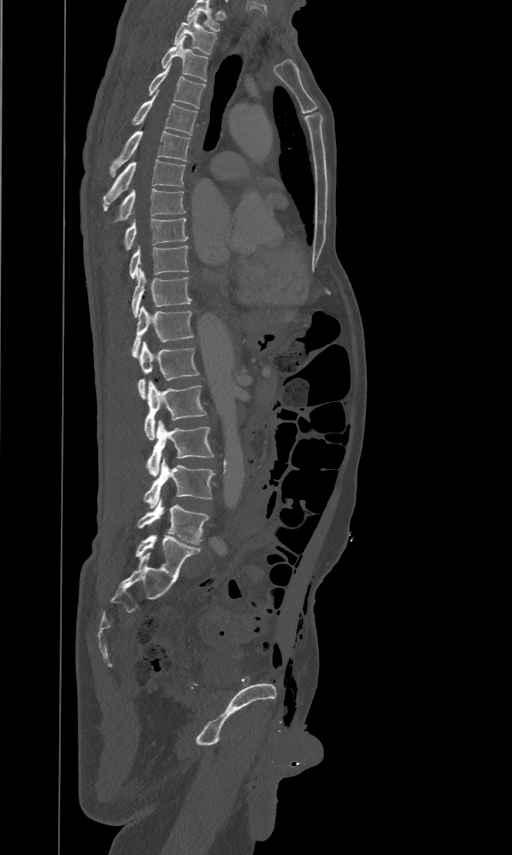
CT spine · sagittal reformat · 512x855 px · 461 mm across the image. Boxes: x1 y1 x2 y2 (pixel coords, space-separated). This scan's labels start at T2 at the top and end at L5 at the bottom. 16 vertebrae labeled — T2 at 173 13 216 54; T3 at 162 35 207 81; T4 at 148 62 205 109; T5 at 134 90 197 135; T6 at 110 130 190 174; T7 at 104 159 185 209; T8 at 105 187 185 225; T9 at 123 216 188 250; T10 at 129 244 188 278; T11 at 131 267 191 317; T12 at 132 305 193 356; L1 at 138 341 199 398; L2 at 144 380 206 440; L3 at 146 420 214 475; L4 at 143 458 215 507; L5 at 138 500 209 544.